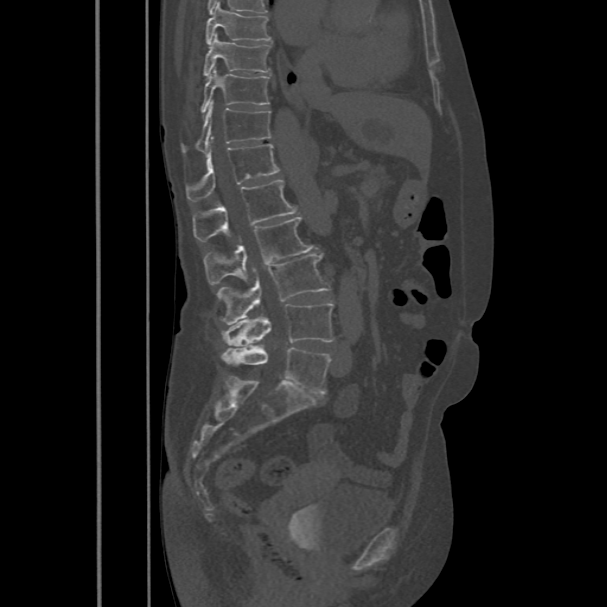 CT — sagittal view. Boxes are given in columns x1, y1, x2, y2, the pixel coordinates of their top-left and bottom-right corners.
| vertebra | x1 | y1 | x2 | y2 |
|---|---|---|---|---|
| L5 | 221 | 346 | 330 | 394 |
| L4 | 221 | 302 | 334 | 346 |
| L3 | 217 | 255 | 330 | 324 |
| L2 | 204 | 217 | 315 | 284 |
| L1 | 192 | 180 | 298 | 241 |
| T12 | 186 | 137 | 279 | 201 |
| T11 | 181 | 103 | 272 | 153 |
| T10 | 202 | 68 | 269 | 114 |
| T9 | 204 | 33 | 271 | 77 |
| T8 | 205 | 2 | 271 | 45 |